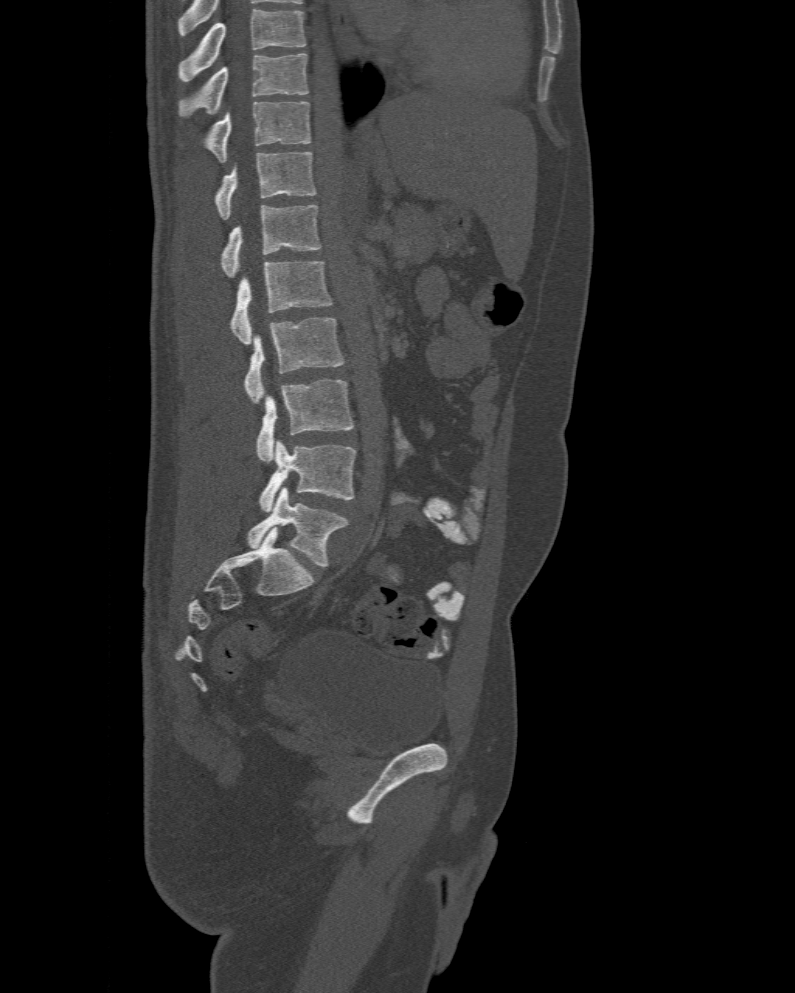 Spine CT. sagittal reformat. 795x993 px
Boxes: x1:y1:x2:y2 in pixels.
In this scan, the topmost labeled vertebra is T10 and the lowest is L6.
The labels name a sixth lumbar vertebra for this spine: L6, after L5.
Vertebra bounding boxes:
- T10: 179:53:308:116
- T11: 205:102:311:162
- T12: 214:152:316:219
- L1: 220:205:320:277
- L2: 230:262:333:344
- L3: 244:317:344:402
- L4: 256:380:355:462
- L5: 258:440:356:512
- L6: 247:487:348:566